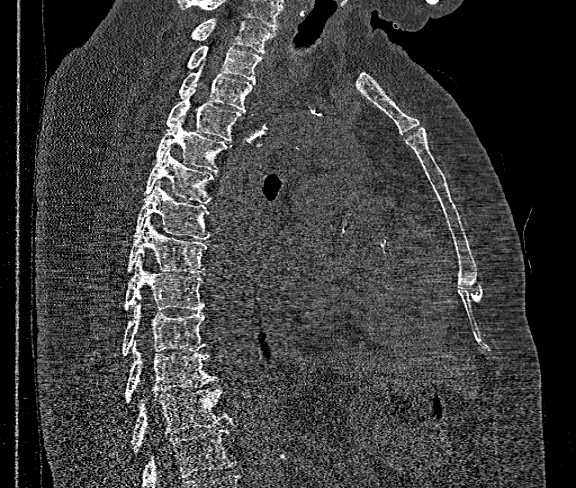 Computed tomography of the spine; sagittal view; 576x488 px

Coordinates as <box>x1,y1,x2,y2</box>.
Where the bottom of the scan cuts through a vertebra, that vertebra gets no label or box.
The highest labeled vertebra in this scan is T1; the lowest is T12.
T1: <box>190,18,276,52</box>
T2: <box>186,45,262,83</box>
T3: <box>179,69,257,111</box>
T4: <box>164,94,242,140</box>
T5: <box>155,117,227,171</box>
T6: <box>144,148,215,203</box>
T7: <box>134,182,210,238</box>
T8: <box>126,216,207,273</box>
T9: <box>123,258,205,310</box>
T10: <box>121,301,205,356</box>
T11: <box>125,348,216,404</box>
T12: <box>130,386,231,452</box>